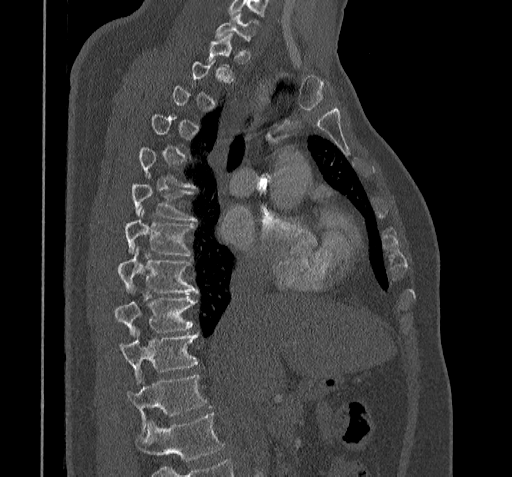

CT, spine; sagittal view; bone window; image width 322 mm. Each box given as x1,y1,x2,y2.
A vertebra gets a box only on the slices from the first to the last where its cross-section is at least a third of its largest; on a slice outside that range it gets none.
A vertebra cut off by the bottom edge of the scan is not labeled and has no box.
Vertebra bounding boxes:
- C7: x1=215, y1=13, x2=258, y2=41
- T6: x1=132, y1=183, x2=196, y2=219
- T7: x1=124, y1=210, x2=193, y2=255
- T8: x1=117, y1=249, x2=196, y2=292
- T9: x1=114, y1=296, x2=194, y2=335
- T10: x1=119, y1=333, x2=197, y2=384
- T11: x1=127, y1=375, x2=205, y2=428